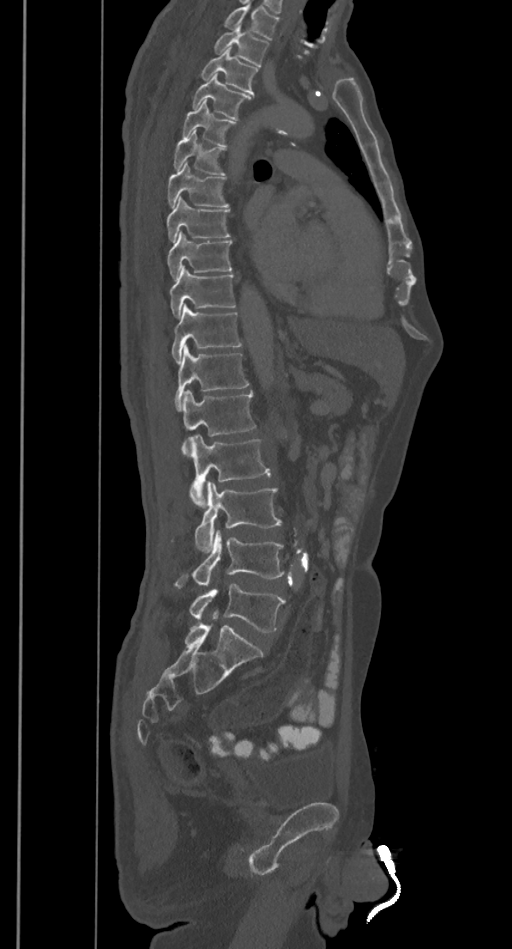 Computed tomography of the spine. sagittal reformat

A vertebra cut off by the top edge of the scan is not labeled and has no box.
<vertebrae><v name="T2" x1="213" y1="26" x2="269" y2="66"/><v name="T3" x1="199" y1="48" x2="258" y2="95"/><v name="T4" x1="191" y1="74" x2="252" y2="119"/><v name="T5" x1="181" y1="101" x2="236" y2="146"/><v name="T6" x1="173" y1="132" x2="225" y2="175"/><v name="T7" x1="167" y1="163" x2="229" y2="207"/><v name="T8" x1="166" y1="196" x2="230" y2="242"/><v name="T9" x1="167" y1="231" x2="233" y2="279"/><v name="T10" x1="170" y1="267" x2="236" y2="317"/><v name="T11" x1="172" y1="305" x2="241" y2="363"/><v name="T12" x1="174" y1="345" x2="249" y2="411"/><v name="L1" x1="182" y1="389" x2="255" y2="456"/><v name="L2" x1="190" y1="434" x2="270" y2="509"/><v name="L3" x1="171" y1="481" x2="281" y2="551"/><v name="L4" x1="174" y1="530" x2="285" y2="587"/><v name="L5" x1="189" y1="583" x2="285" y2="632"/></vertebrae>